CT; sagittal view; bone-window reconstruction; 350x292 px; 5 vertebrae labeled in this scan
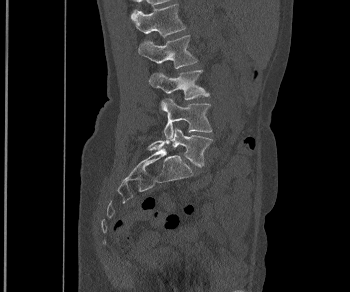
Each box given as x1,y1,x2,y2.
Vertebra bounding boxes:
- L1: x1=131, y1=3, x2=185, y2=36
- L2: x1=138, y1=35, x2=197, y2=68
- L3: x1=149, y1=70, x2=209, y2=99
- L4: x1=160, y1=98, x2=212, y2=140
- L5: x1=148, y1=127, x2=213, y2=166